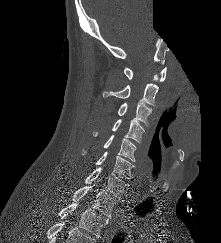
CT — 221 mm image width — sagittal reformat — 221x243 px — a region of this slice is masked with a uniform fill

Box edges are left/top/right/bottom in pixels.
Vertebra bounding boxes:
- T2: left=59, top=202, right=108, bottom=237
- T1: left=72, top=184, right=118, bottom=217
- C7: left=84, top=167, right=129, bottom=199
- C6: left=95, top=151, right=134, bottom=178
- C5: left=103, top=134, right=136, bottom=161
- C4: left=93, top=119, right=145, bottom=143
- C3: left=117, top=102, right=151, bottom=126
- C2: left=102, top=83, right=158, bottom=106
- C1: left=123, top=66, right=166, bottom=81